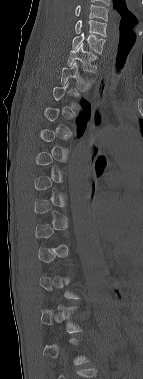 Spine computed tomography; sagittal view
Boxes are given in columns x1, y1, x2, y2, the pixel coordinates of their top-left and bottom-right corners.
A vertebra is boxed only from the first to the last slice where its cross-section is at least a third of its largest; slices outside that range leave it without a box.
Labels in this scan begin with C6 at the top and end with T12 at the bottom.
| vertebra | x1 | y1 | x2 | y2 |
|---|---|---|---|---|
| T2 | 61 | 61 | 95 | 91 |
| T1 | 67 | 43 | 97 | 72 |
| C7 | 72 | 33 | 105 | 53 |
| C6 | 75 | 20 | 106 | 36 |